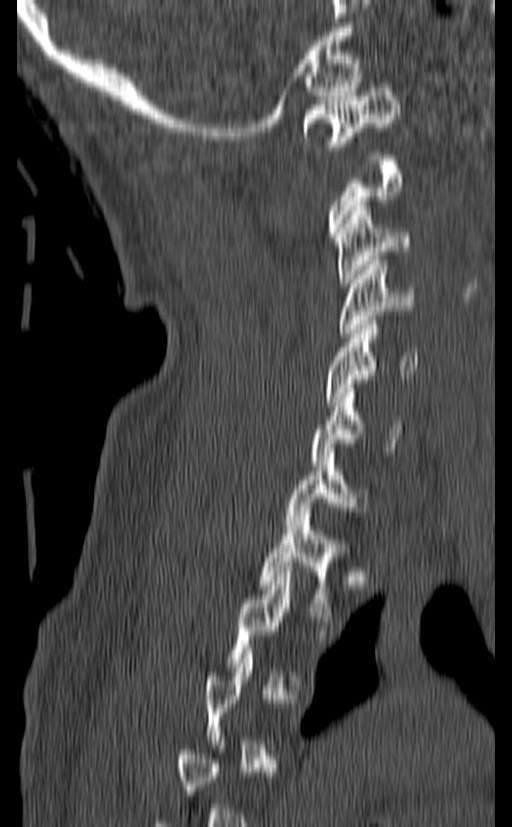 CT, spine; sagittal view; 140 mm across the image
Columns x1, y1, x2, y2 give each box's top-left and bottom-right pixels.
A vertebra gets a box only on the slices from the first to the last where its cross-section is at least a third of its largest; on a slice outside that range it gets none.
| vertebra | x1 | y1 | x2 | y2 |
|---|---|---|---|---|
| C1 | 302 | 87 | 399 | 154 |
| C3 | 334 | 206 | 410 | 287 |
| C4 | 338 | 261 | 414 | 337 |
| C5 | 323 | 320 | 417 | 406 |
| C6 | 310 | 384 | 403 | 465 |
| C7 | 285 | 453 | 368 | 529 |
| T1 | 260 | 512 | 347 | 616 |